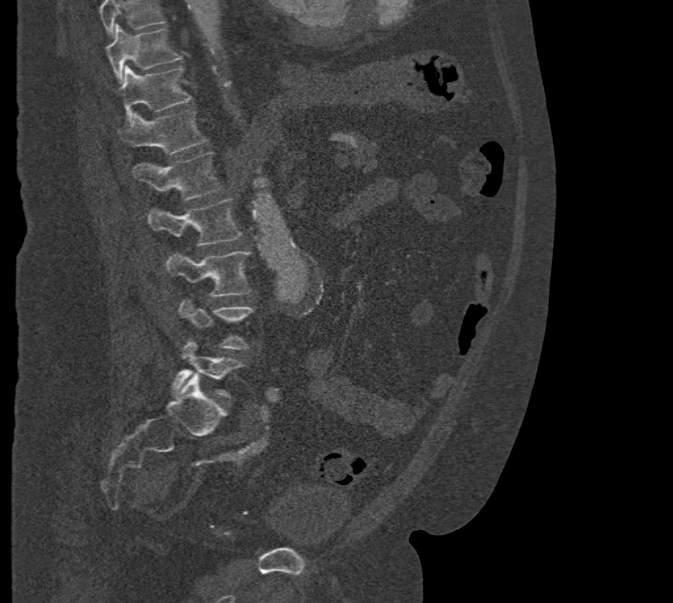

Spine CT. sagittal reformat. 673x603 px
Boxes below are [x1, y1, x2, y2] in pixels.
Where the top of the scan cuts through a vertebra, that vertebra gets no label or box.
{"vertebrae":{"T10":[106,25,182,83],"T11":[120,65,192,121],"T12":[117,109,208,154],"L1":[133,152,222,201],"L2":[147,198,242,247],"L3":[166,252,250,297],"L4":[179,299,255,349],"L5":[171,338,243,398]}}